CT · sagittal plane, index 235 · 391 mm wide · 512x824 px
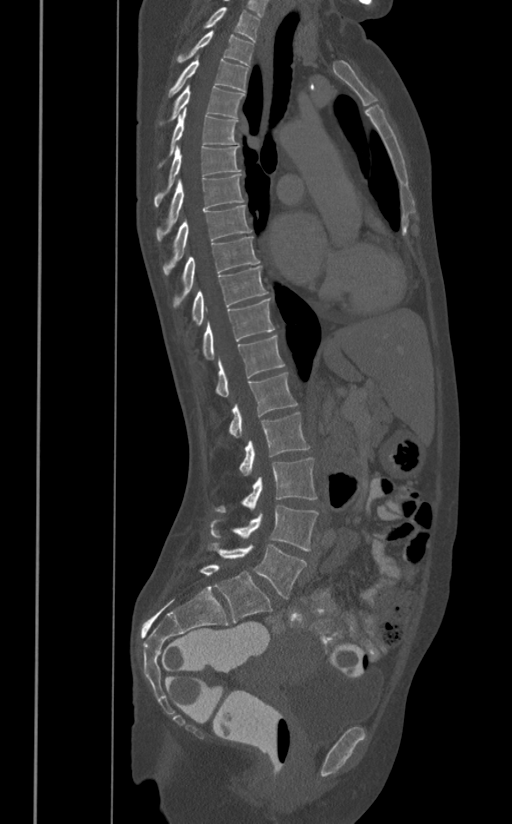
Bounding boxes as [x1, y1, x2, y2] in pixel coordinates.
T1: [204, 7, 259, 41]
T2: [177, 31, 253, 66]
T3: [167, 55, 249, 96]
T4: [158, 85, 244, 125]
T5: [157, 107, 238, 168]
T6: [154, 146, 241, 206]
T7: [156, 174, 244, 241]
T8: [162, 204, 252, 274]
T9: [173, 236, 259, 305]
T10: [191, 266, 267, 325]
T11: [202, 298, 274, 360]
T12: [215, 336, 284, 396]
L1: [229, 372, 297, 436]
L2: [238, 411, 309, 474]
L3: [215, 457, 317, 512]
L4: [209, 504, 318, 551]
L5: [208, 542, 307, 599]